CT · the image is 140 mm wide · Sagittal slice 188/512 · 512x782 px
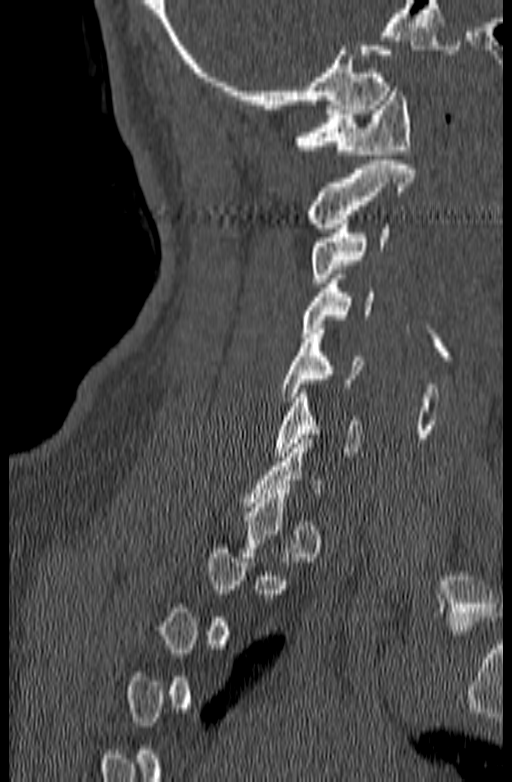
Columns x1, y1, x2, y2 give each box's top-left and bottom-right pixels.
A vertebra is boxed only from the first to the last slice where its cross-section is at least a third of its largest; slices outside that range leave it without a box.
| vertebra | x1 | y1 | x2 | y2 |
|---|---|---|---|---|
| C1 | 294 | 87 | 411 | 154 |
| C2 | 309 | 160 | 415 | 228 |
| C3 | 311 | 219 | 389 | 282 |
| C4 | 302 | 274 | 373 | 333 |
| C5 | 279 | 329 | 362 | 401 |
| C6 | 274 | 389 | 361 | 456 |